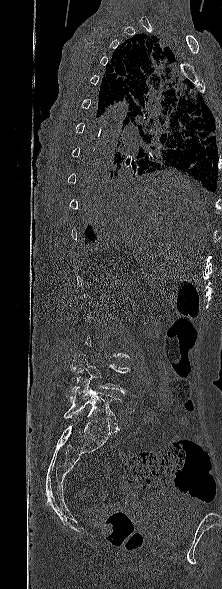 Computed tomography of the spine. sagittal view. W/L 1800/400 HU. 222x589 px
Coordinates as <box>x1,y1,x2,y2</box>.
A vertebra gets a box only on the slices from the first to the last where its cross-section is at least a third of its largest; on a slice outside that range it gets none.
Vertebra bounding boxes:
- L4: <box>70,354,130,404</box>
- L5: <box>64,380,121,432</box>